Spine computed tomography; Sagittal slice 219/512; bone window; 512x694 px; scan covers 12 annotated vertebrae
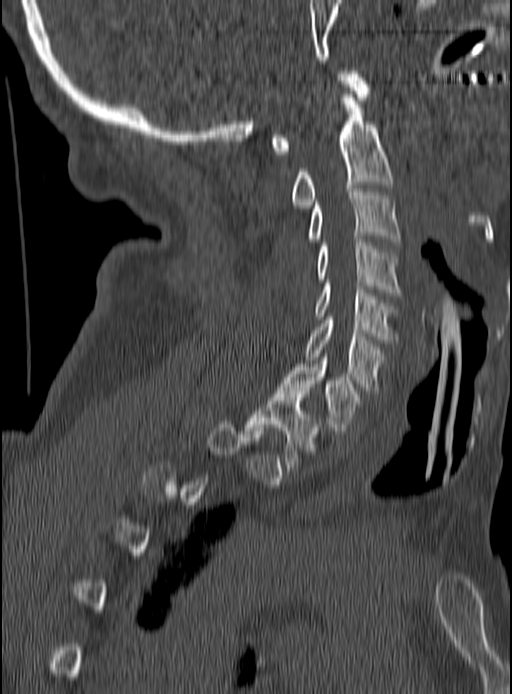

Boxes are (x1, y1, x2, y2) in pixels.
A vertebra is boxed only from the first to the last slice where its cross-section is at least a third of its largest; slices outside that range leave it without a box.
Vertebra bounding boxes:
- C1: (270, 71, 369, 154)
- C2: (292, 98, 391, 208)
- C3: (308, 189, 399, 242)
- C4: (316, 236, 399, 295)
- C5: (316, 283, 396, 343)
- C6: (305, 317, 383, 390)
- C7: (278, 357, 359, 430)
- T1: (246, 391, 318, 467)